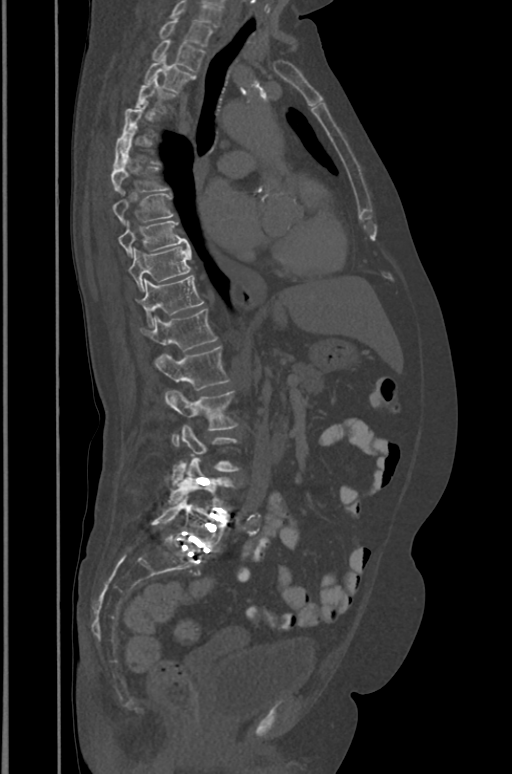

CT, spine. 391 mm image width. sagittal view. W/L 1800/400 HU
Columns x1, y1, x2, y2 give each box's top-left and bottom-right pixels.
A vertebra gets a box only on the slices from the first to the last where its cross-section is at least a third of its largest; on a slice outside that range it gets none.
This scan's labels start at T1 at the top and end at L5 at the bottom.
| vertebra | x1 | y1 | x2 | y2 |
|---|---|---|---|---|
| T1 | 158 | 18 | 212 | 47 |
| T2 | 152 | 40 | 205 | 71 |
| T3 | 144 | 56 | 195 | 91 |
| T4 | 136 | 77 | 173 | 111 |
| T5 | 120 | 102 | 147 | 141 |
| T7 | 111 | 156 | 168 | 192 |
| T8 | 113 | 192 | 173 | 222 |
| T9 | 118 | 221 | 189 | 255 |
| T10 | 128 | 245 | 192 | 290 |
| T11 | 137 | 276 | 203 | 327 |
| T12 | 141 | 308 | 216 | 351 |
| L1 | 154 | 347 | 230 | 390 |
| L2 | 165 | 390 | 237 | 446 |
| L3 | 173 | 426 | 239 | 483 |
| L4 | 169 | 458 | 233 | 504 |
| L5 | 152 | 494 | 226 | 552 |